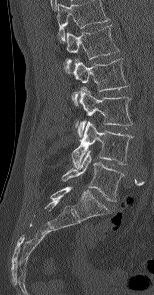
CT · sagittal view · the image is 154 mm wide · W/L 1800/400 HU
Labels in this scan begin with L1 at the top and end with L5 at the bottom.
<vertebrae><v name="L1" x1="64" y1="25" x2="118" y2="68"/><v name="L2" x1="72" y1="58" x2="127" y2="105"/><v name="L3" x1="77" y1="86" x2="131" y2="137"/><v name="L4" x1="72" y1="120" x2="131" y2="167"/><v name="L5" x1="62" y1="150" x2="124" y2="201"/></vertebrae>